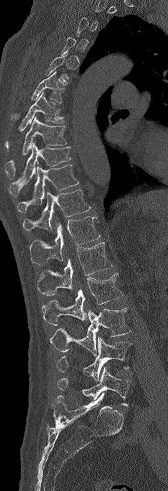
Spine CT · 168 mm across the image · sagittal reformat

Coordinates as <box>x1,y1,x2,y2</box>. A vertebra is boxed only from the first to the last slice where its cross-section is at least a third of its largest; slices outside that range leave it without a box. The labeled vertebrae in this slice are: T6 at <box>11,71,65,119</box>, T7 at <box>5,92,64,150</box>, T8 at <box>5,118,67,179</box>, T9 at <box>9,142,71,196</box>, T10 at <box>17,164,79,212</box>, T11 at <box>22,189,90,230</box>, T12 at <box>29,216,100,264</box>, L1 at <box>37,242,112,295</box>, L2 at <box>42,273,123,325</box>, L3 at <box>50,307,130,355</box>, L4 at <box>56,337,131,381</box>, L5 at <box>57,366,131,406</box>.